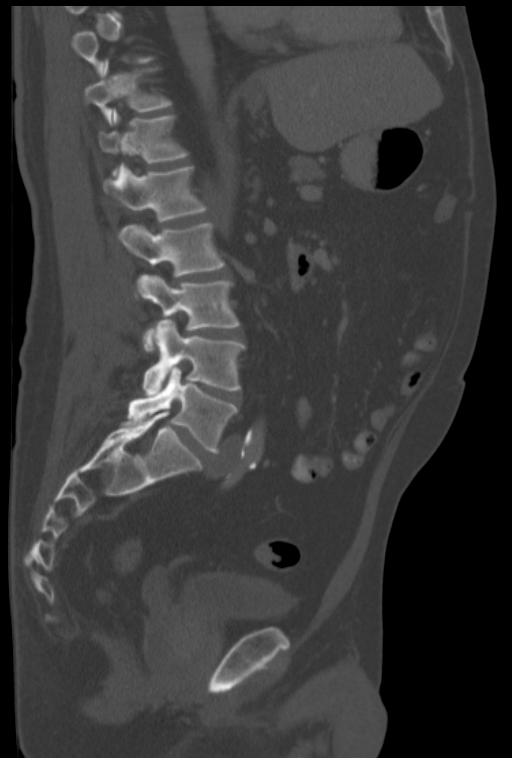

Spine computed tomography — sagittal view — 512x758 px — 322 mm wide
Boxes below are [x1, y1, x2, y2] in pixels.
A vertebra gets a box only on the slices from the first to the last where its cross-section is at least a third of its largest; on a slice outside that range it gets none.
{"vertebrae":{"L5":[128,367,236,452],"L4":[143,320,244,395],"L3":[137,275,239,350],"L2":[118,223,225,276],"L1":[104,164,208,222],"T12":[99,108,187,174],"T11":[85,61,171,125]}}